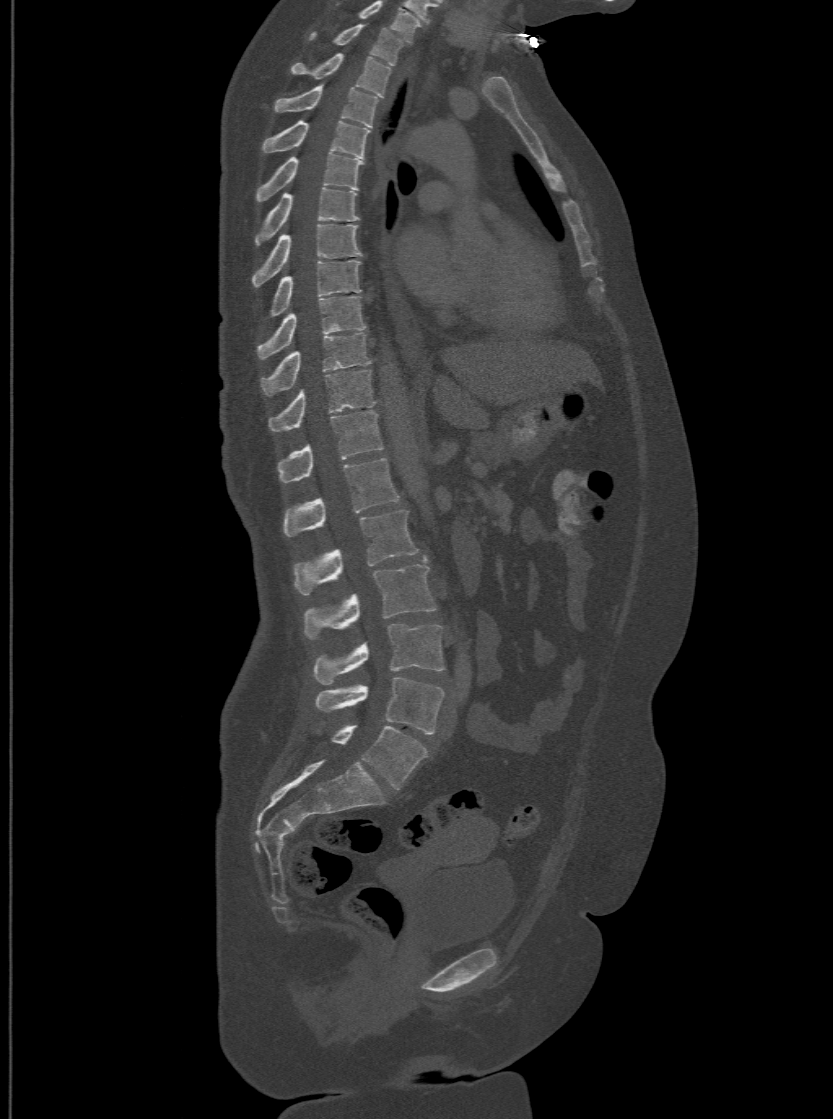

CT, spine; sagittal view; image 500 mm wide; 833x1119 px
Box edges are left/top/right/bottom in pixels.
The highest labeled vertebra in this scan is T1; the lowest is L6.
The labels name a sixth lumbar vertebra for this spine: L6, after L5.
L6: left=317, top=724, right=427, bottom=788
L5: left=317, top=678, right=443, bottom=733
L4: left=312, top=624, right=443, bottom=683
L3: left=304, top=557, right=435, bottom=637
L2: left=293, top=508, right=417, bottom=595
L1: left=283, top=457, right=399, bottom=536
T12: left=278, top=410, right=383, bottom=481
T11: left=269, top=368, right=373, bottom=429
T10: left=262, top=332, right=368, bottom=394
T9: left=257, top=295, right=365, bottom=357
T8: left=269, top=260, right=360, bottom=317
T7: left=252, top=223, right=360, bottom=286
T6: left=256, top=187, right=359, bottom=244
T5: left=257, top=152, right=362, bottom=199
T4: left=264, top=120, right=368, bottom=157
T3: left=275, top=85, right=377, bottom=126
T2: left=290, top=52, right=391, bottom=96
T1: left=309, top=23, right=403, bottom=64